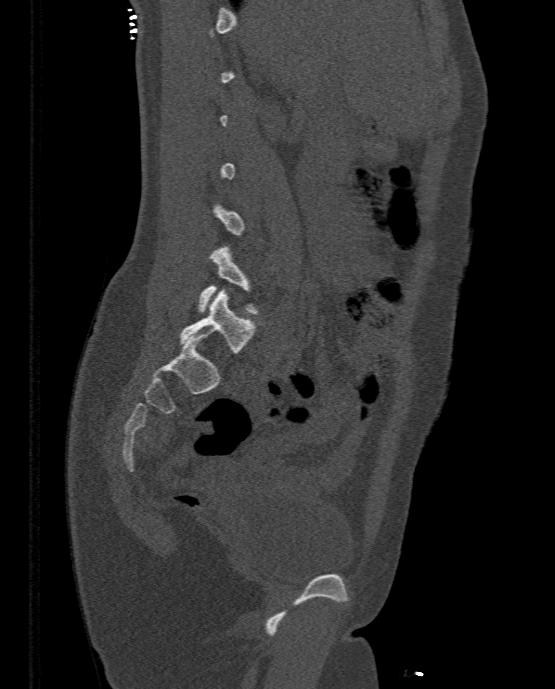

CT spine — sagittal view — 333 mm wide

Boxes: x1:y1:x2:y2 in pixels.
A vertebra gets a box only on the slices from the first to the last where its cross-section is at least a third of its largest; on a slice outside that range it gets none.
Vertebra bounding boxes:
- L4: 198:245:259:313
- L5: 180:289:254:353